CT spine · sagittal view · the image is 180 mm wide · 512x640 px
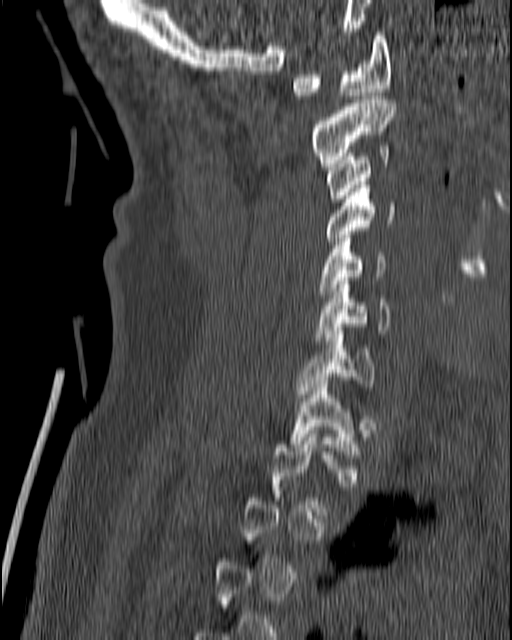

Not every vertebra on this slice has a box: a vertebra is boxed only from the first to the last slice where its cross-section is at least a third of its largest, and this slice is outside that range for at least one of them.
<vertebrae><v name="T1" x1="291" y1="377" x2="358" y2="458"/><v name="C7" x1="297" y1="327" x2="375" y2="397"/><v name="C6" x1="314" y1="277" x2="392" y2="340"/><v name="C5" x1="318" y1="235" x2="387" y2="298"/><v name="C4" x1="317" y1="181" x2="395" y2="248"/><v name="C3" x1="325" y1="146" x2="390" y2="202"/><v name="C2" x1="311" y1="96" x2="397" y2="166"/><v name="C1" x1="291" y1="32" x2="391" y2="99"/></vertebrae>